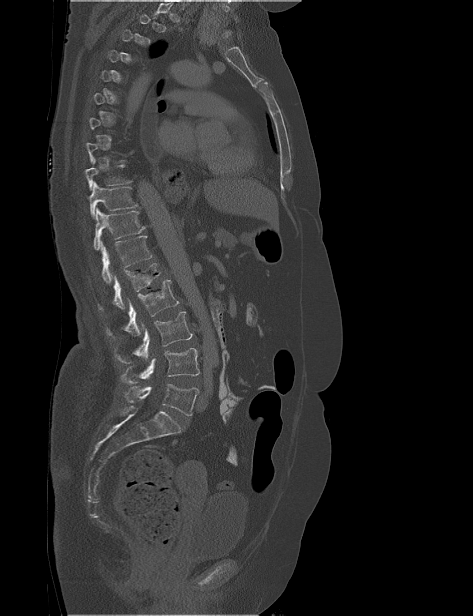
CT spine — sagittal view
Not every vertebra on this slice has a box: a vertebra is boxed only from the first to the last slice where its cross-section is at least a third of its largest, and this slice is outside that range for at least one of them.
<vertebrae><v name="T9" x1="85" y1="158" x2="132" y2="190"/><v name="T10" x1="89" y1="182" x2="138" y2="218"/><v name="T11" x1="93" y1="208" x2="145" y2="249"/><v name="T12" x1="100" y1="235" x2="152" y2="284"/><v name="L1" x1="98" y1="263" x2="160" y2="311"/><v name="L2" x1="106" y1="279" x2="178" y2="338"/><v name="L3" x1="114" y1="311" x2="193" y2="363"/><v name="L4" x1="120" y1="348" x2="200" y2="384"/><v name="L5" x1="125" y1="384" x2="199" y2="415"/></vertebrae>